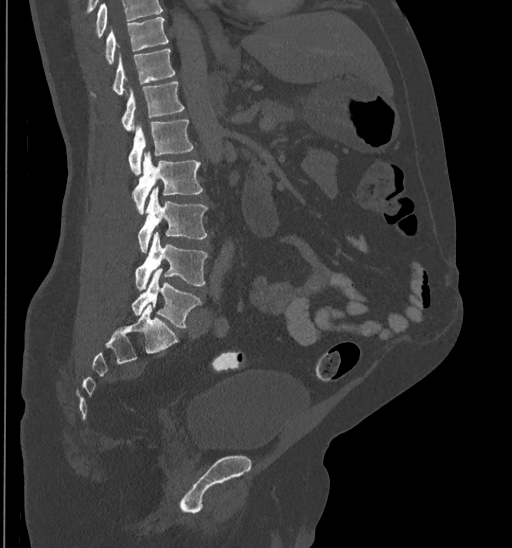

CT, spine · the image spans 435 mm across · sagittal view · W/L 1800/400 HU
Boxes: x1 y1 x2 y2 (pixel coords, space-separated).
Where the top of the scan cuts through a vertebra, that vertebra gets no label or box.
Vertebra bounding boxes:
- L5: 132 269 201 327
- L4: 135 231 207 290
- L3: 138 187 207 252
- L2: 132 151 203 214
- L1: 128 120 193 175
- T12: 121 82 184 131
- T11: 92 49 174 94
- T10: 105 17 168 63